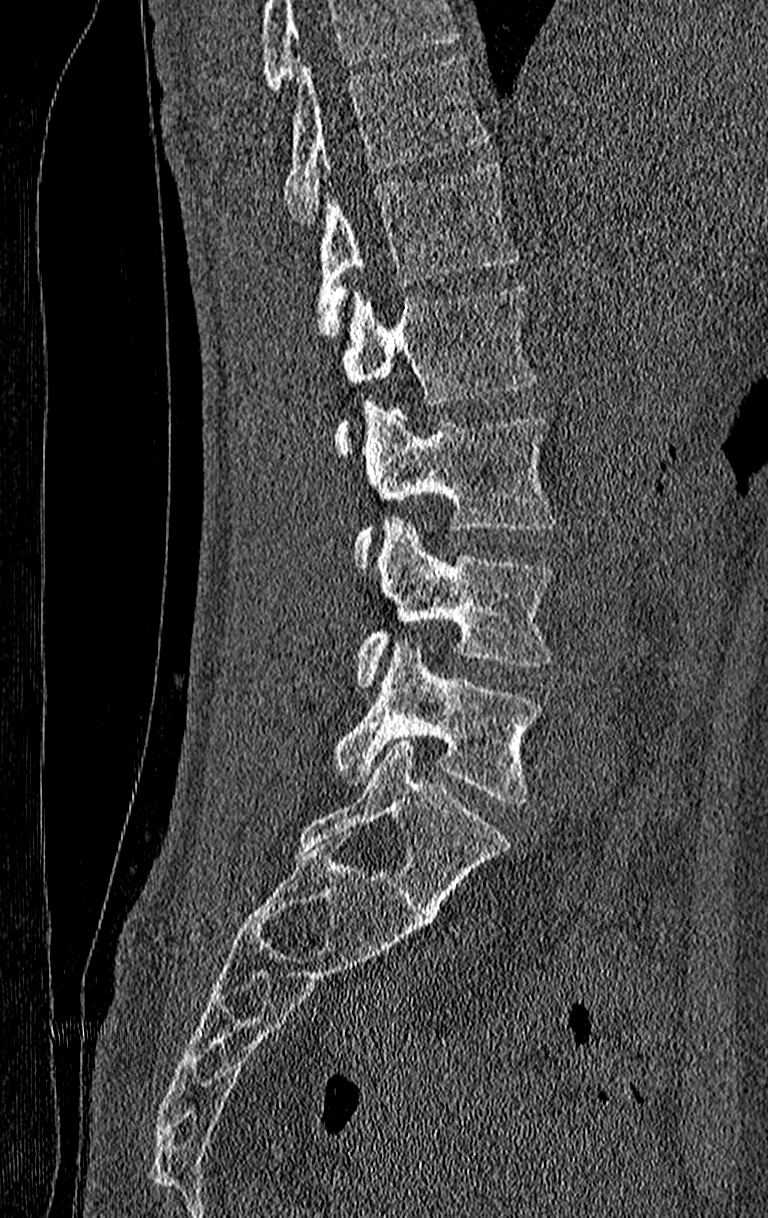
CT, spine · sagittal view · 768x1218 px
Columns x1, y1, x2, y2 give each box's top-left and bottom-right pixels.
Where the top of the scan cuts through a vertebra, that vertebra gets no label or box.
The highest labeled vertebra in this scan is T11; the lowest is L4.
| vertebra | x1 | y1 | x2 | y2 |
|---|---|---|---|---|
| T11 | 284 | 56 | 488 | 223 |
| T12 | 317 | 161 | 517 | 340 |
| L1 | 335 | 286 | 535 | 453 |
| L2 | 353 | 403 | 557 | 567 |
| L3 | 357 | 517 | 554 | 687 |
| L4 | 335 | 637 | 543 | 804 |